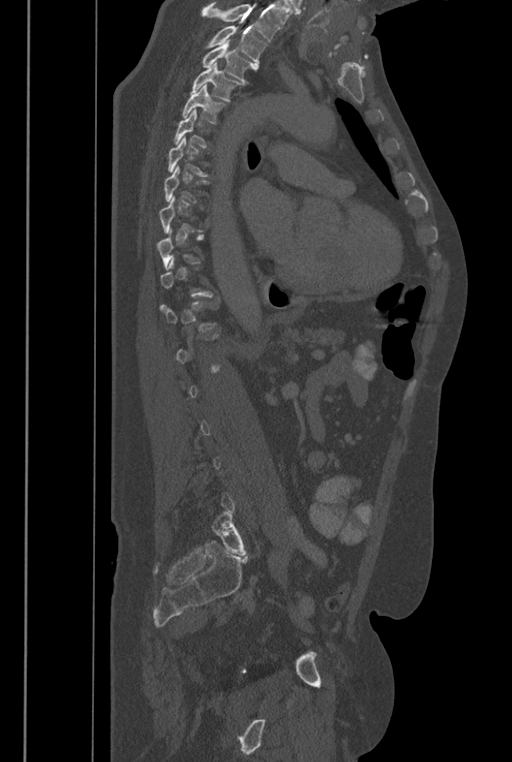
Spine CT · sagittal view · 512x762 px
Each vertebra maps to its box as [x1, y1, x2, y2], the pixel coordinates of its top-left and bottom-right corners.
A vertebra is boxed only from the first to the last slice where its cross-section is at least a third of its largest; slices outside that range leave it without a box.
Vertebrae that run past the top of the scan are left unlabeled.
In these labels the spine has an L6, a sixth lumbar vertebra below L5.
{"vertebrae":{"T2":[205,26,266,71],"T3":[202,40,253,85],"T4":[190,62,241,101],"T5":[181,84,226,123],"T6":[173,108,210,148],"L6":[212,511,247,555]}}